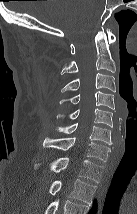
CT, spine; sagittal reformat; bone window
Each box given as x1,y1,x2,y2.
Vertebra bounding boxes:
- C1: x1=70, y1=28, x2=116, y2=54
- C2: x1=61, y1=27, x2=115, y2=74
- C3: x1=61, y1=72, x2=115, y2=92
- C4: x1=59, y1=91, x2=114, y2=109
- C5: x1=56, y1=108, x2=112, y2=127
- C6: x1=55, y1=123, x2=112, y2=144
- C7: x1=43, y1=137, x2=113, y2=162
- T1: x1=34, y1=157, x2=103, y2=182
- T2: x1=49, y1=179, x2=96, y2=206